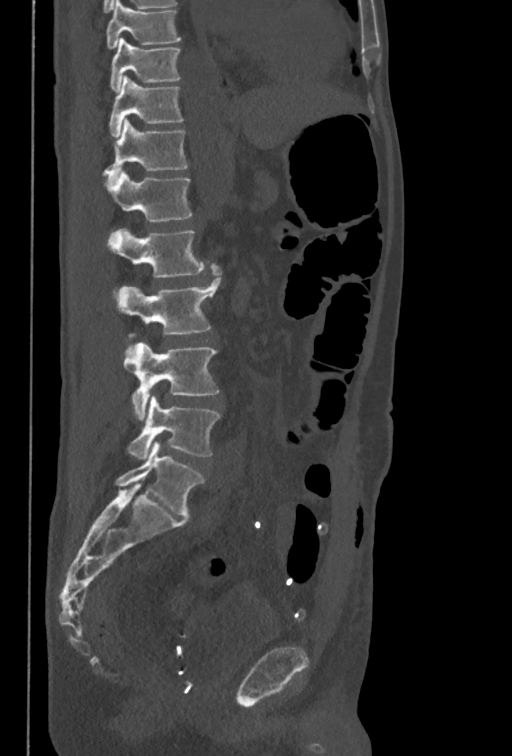 CT; 350 mm image width; sagittal reformat; Bone window (WL 400, WW 1800). Boxes: x1:y1:x2:y2 in pixels.
This scan's labels start at T10 at the top and end at L5 at the bottom.
T10: 109:38:180:92
T11: 109:75:183:137
T12: 102:117:187:179
L1: 103:171:192:222
L2: 107:228:209:277
L3: 117:263:221:337
L4: 123:342:220:420
L5: 127:396:220:460